CT spine; 356 mm image width; Sagittal slice 226/512; bone-window reconstruction; 593x528 px
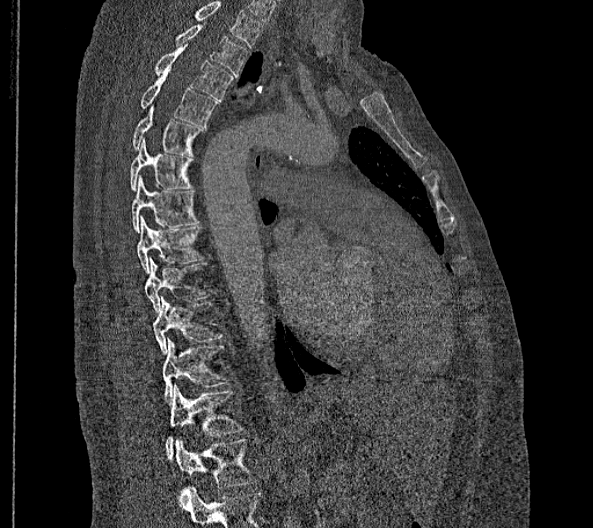

Boxes: x1 y1 x2 y2 (pixel coords, space-separated).
The highest labeled vertebra in this scan is T2; the lowest is L2.
In these labels the thoracic vertebrae end at T11, so L1 follows T11.
Vertebra bounding boxes:
- T2: 175 25 247 76
- T3: 155 46 232 99
- T4: 140 74 217 126
- T5: 133 105 205 156
- T6: 130 138 193 191
- T7: 131 175 197 233
- T8: 137 216 202 273
- T9: 145 256 208 312
- T10: 153 297 221 354
- T11: 162 338 227 402
- L1: 166 384 242 459
- L2: 175 438 255 487